CT spine · sagittal plane, index 115 · W/L 1800/400 HU · 207 mm across the image
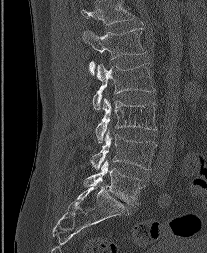
Boxes are (x1, y1, x2, y2) in pixels. This scan's labels start at L1 at the top and end at L5 at the bottom. 5 vertebrae labeled — L5 at (84, 160, 144, 204); L4 at (91, 130, 156, 169); L3 at (95, 98, 156, 142); L2 at (93, 63, 154, 110); L1 at (82, 28, 145, 73).